Spine CT; Sagittal slice 30/51; Bone window (WL 400, WW 1800); 221x243 px; image 221 mm wide; scan covers 9 annotated vertebrae; a portion of the image is blanked out (constant pixel value)
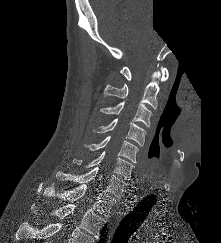
Boxes: x1 y1 x2 y2 (pixel coords, space-separated).
C1: 120 66 168 81
C2: 104 64 160 108
C3: 100 101 152 127
C4: 92 118 146 147
C5: 84 136 138 162
C6: 73 151 134 179
C7: 56 167 127 198
T1: 42 183 117 217
T2: 31 204 106 239